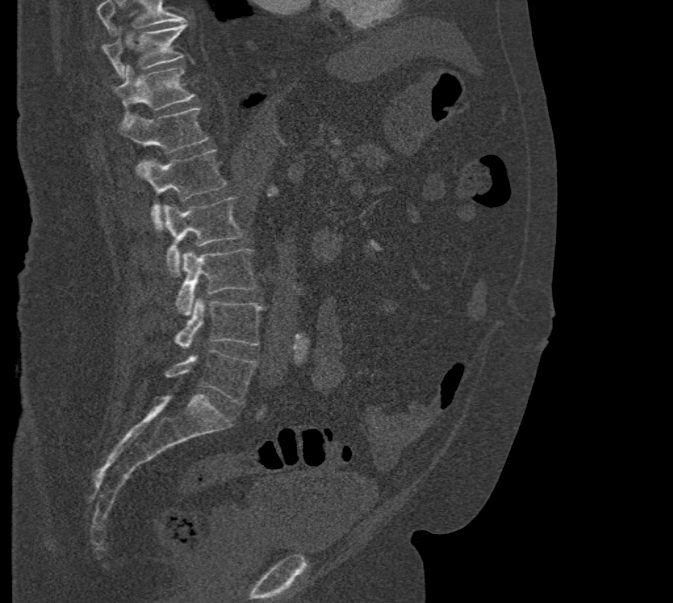
Spine CT; sagittal reformat; 471 mm across the image
A vertebra cut off by the top edge of the scan is not labeled and has no box.
<vertebrae><v name="T10" x1="101" y1="22" x2="186" y2="79"/><v name="T11" x1="112" y1="65" x2="195" y2="120"/><v name="T12" x1="118" y1="106" x2="209" y2="152"/><v name="L1" x1="137" y1="149" x2="226" y2="228"/><v name="L2" x1="162" y1="198" x2="243" y2="275"/><v name="L3" x1="176" y1="249" x2="257" y2="317"/><v name="L4" x1="175" y1="298" x2="263" y2="348"/><v name="L5" x1="166" y1="349" x2="257" y2="404"/></vertebrae>